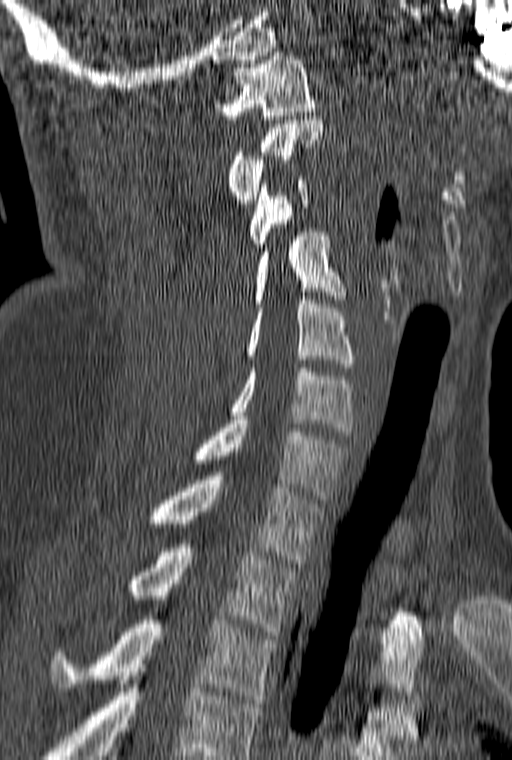 Computed tomography of the spine. sagittal view. image width 160 mm
Box values are [left, top, right, bottom] in pixels.
This scan's labels start at C1 at the top and end at T3 at the bottom.
{"vertebrae":{"C1":[215,52,316,119],"C2":[228,120,324,207],"C3":[248,180,309,251],"C4":[251,228,346,307],"C5":[245,296,355,367],"C6":[228,364,355,435],"C7":[190,420,349,499],"T1":[145,472,322,563],"T2":[126,544,298,635],"T3":[49,620,275,703]}}